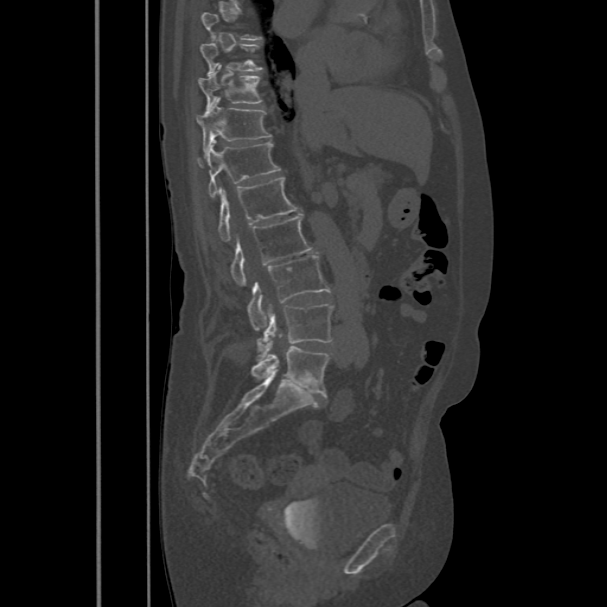

CT, spine; sagittal view; Bone window (WL 400, WW 1800); image 486 mm wide; 607x607 px
Each vertebra maps to its box as [x1, y1, x2, y2], the pixel coordinates of its top-left and bottom-right corners.
Each vertebra is boxed only on the slices from the first to the last where its cross-section reaches a third of its largest, so a slice outside that range leaves it unboxed.
{"vertebrae":{"T9":[200,43,262,74],"T10":[199,66,262,107],"T11":[196,97,272,155],"T12":[197,142,280,197],"L1":[217,177,300,241],"L2":[230,215,312,285],"L3":[247,255,331,329],"L4":[257,303,332,350],"L5":[251,346,329,396]}}